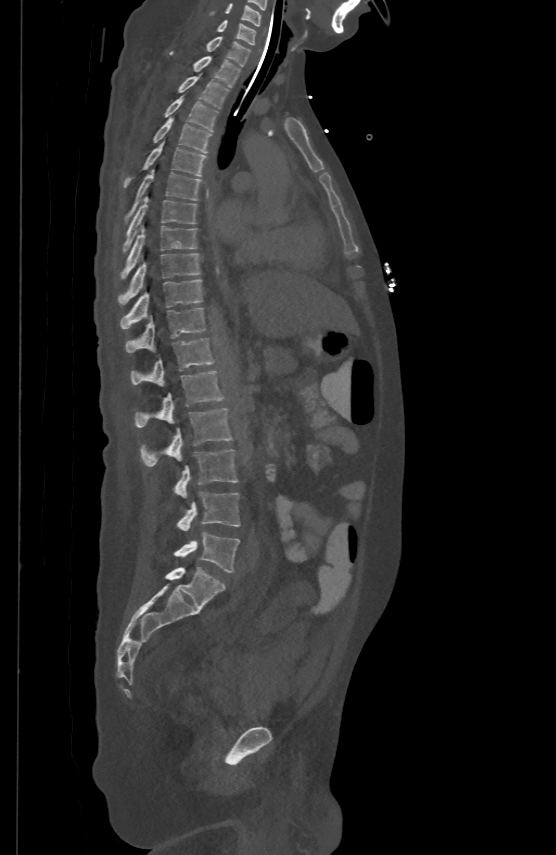

Spine CT. sagittal view. bone window. image width 500 mm
Each box given as x1,y1,x2,y2.
Vertebra bounding boxes:
- C5: x1=226, y1=2, x2=261, y2=25
- C6: x1=216, y1=19, x2=256, y2=43
- C7: x1=206, y1=35, x2=250, y2=65
- T1: x1=171, y1=52, x2=240, y2=86
- T2: x1=178, y1=73, x2=228, y2=108
- T3: x1=165, y1=94, x2=218, y2=130
- T4: x1=153, y1=116, x2=212, y2=152
- T5: x1=125, y1=141, x2=205, y2=185
- T6: x1=126, y1=169, x2=200, y2=219
- T7: x1=123, y1=196, x2=196, y2=251
- T8: x1=122, y1=224, x2=196, y2=276
- T9: x1=119, y1=252, x2=200, y2=303
- T10: x1=120, y1=279, x2=202, y2=328
- T11: x1=126, y1=306, x2=204, y2=351
- T12: x1=131, y1=337, x2=213, y2=384
- L1: x1=135, y1=370, x2=224, y2=427
- L2: x1=140, y1=407, x2=232, y2=466
- L3: x1=174, y1=450, x2=238, y2=497
- L4: x1=177, y1=492, x2=240, y2=530
- L5: x1=174, y1=532, x2=240, y2=572